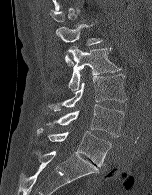 Spine CT; sagittal view; Bone window (WL 400, WW 1800); 152 mm image width

In the table, x1 and y1 are a box's top-left corner and x2 and y2 its bottom-right corner, in pixels.
A vertebra gets a box only on the slices from the first to the last where its cross-section is at least a third of its largest; on a slice outside that range it gets none.
| vertebra | x1 | y1 | x2 | y2 |
|---|---|---|---|---|
| L1 | 56 | 24 | 103 | 66 |
| L2 | 67 | 46 | 121 | 90 |
| L3 | 48 | 74 | 127 | 111 |
| L4 | 46 | 104 | 124 | 137 |
| L5 | 36 | 127 | 111 | 166 |